CT · sagittal view · W/L 1800/400 HU · 512x640 px
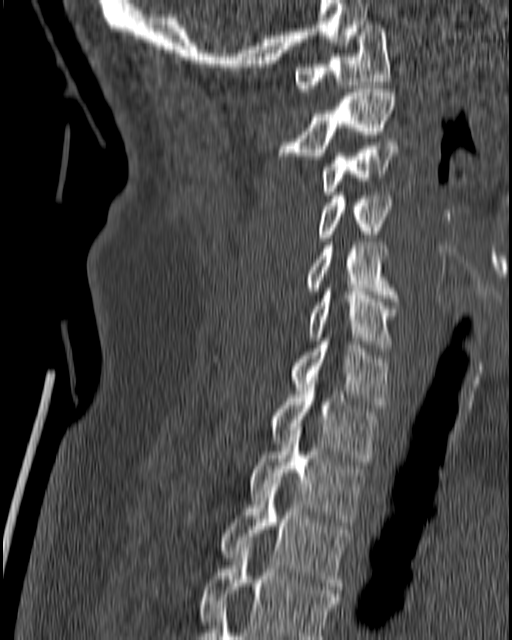 Boxes are (x1, y1, x2, y2) in pixels.
Vertebra bounding boxes:
- T4: (198, 544, 339, 639)
- T3: (220, 480, 350, 589)
- T2: (248, 430, 364, 529)
- T1: (271, 388, 378, 461)
- C7: (291, 338, 390, 408)
- C6: (308, 288, 398, 351)
- C5: (305, 242, 398, 301)
- C4: (317, 192, 393, 241)
- C3: (321, 142, 398, 195)
- C2: (277, 89, 396, 159)
- C1: (294, 21, 390, 91)